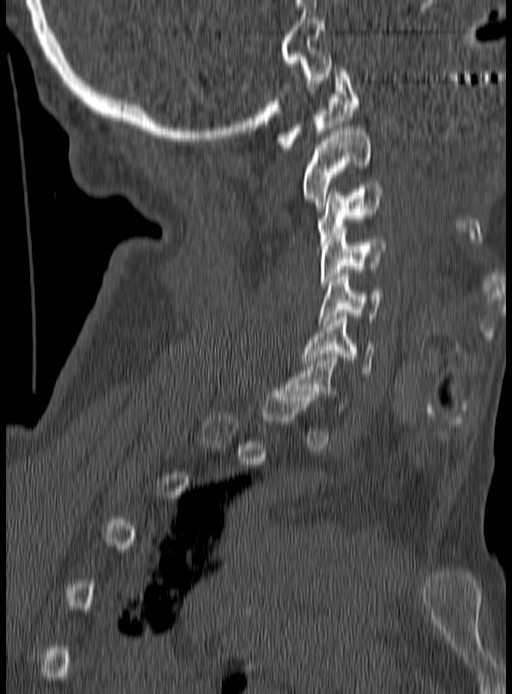 Spine computed tomography. sagittal reformat

Boxes: x1 y1 x2 y2 (pixel coords, space-separated).
Each vertebra is boxed only on the slices from the first to the last where its cross-section reaches a third of its largest, so a slice outside that range leaves it unboxed.
Vertebra bounding boxes:
- C1: 278 67 359 151
- C2: 303 128 372 208
- C3: 316 182 383 242
- C4: 321 229 387 289
- C5: 319 273 383 322
- C6: 303 317 374 376